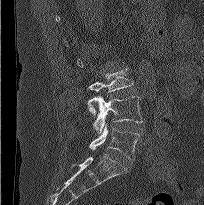 CT spine; 204 mm wide; sagittal view; bone-window reconstruction; 204x205 px. Boxes are (x1, y1, x2, y2) in pixels.
L3: (88, 68, 133, 114)
L4: (91, 96, 143, 133)
L5: (89, 124, 140, 160)